Spine computed tomography. image width 450 mm. sagittal view. 576x576 px. scan covers 10 annotated vertebrae
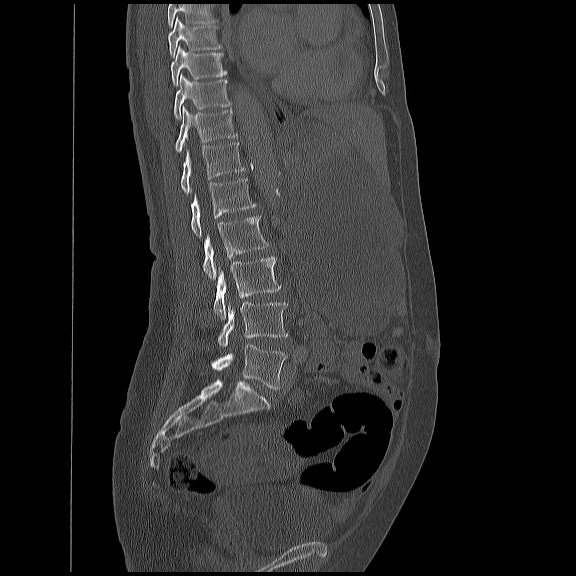
Each box given as x1,y1,x2,y2.
A vertebra cut off by the top edge of the scan is not labeled and has no box.
| vertebra | x1 | y1 | x2 | y2 |
|---|---|---|---|---|
| L5 | 211 | 345 | 285 | 388 |
| L4 | 217 | 301 | 286 | 346 |
| L3 | 212 | 255 | 280 | 319 |
| L2 | 202 | 215 | 267 | 279 |
| L1 | 190 | 177 | 254 | 237 |
| T12 | 180 | 140 | 244 | 193 |
| T11 | 174 | 105 | 237 | 151 |
| T10 | 174 | 73 | 230 | 118 |
| T9 | 170 | 44 | 226 | 85 |
| T8 | 168 | 18 | 221 | 55 |